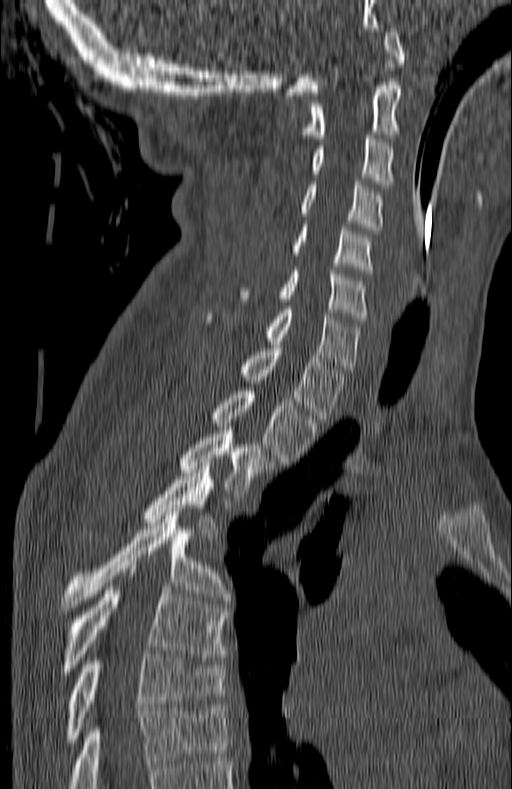

Spine computed tomography · sagittal reformat · W/L 1800/400 HU
Boxes: x1:y1:x2:y2 in pixels.
In this scan, the topmost labeled vertebra is C1 and the lowest is T7.
C1: 286:28:404:95
C2: 300:82:401:141
C3: 311:135:392:184
C4: 300:181:384:234
C5: 291:224:373:273
C6: 240:270:367:319
C7: 209:309:361:372
T1: 240:348:345:419
T2: 211:388:316:465
T3: 177:434:273:497
T4: 143:466:219:539
T5: 61:512:230:611
T6: 61:587:225:671
T7: 66:651:225:742